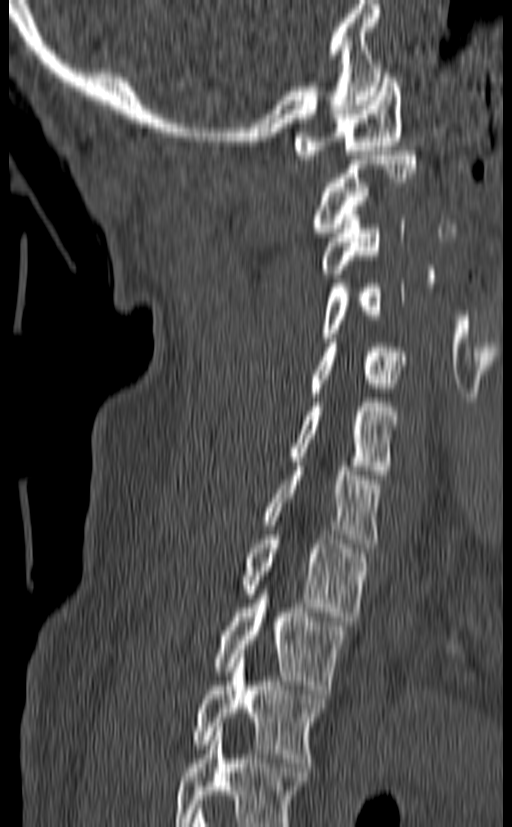

Computed tomography of the spine; sagittal view

Boxes: x1 y1 x2 y2 (pixel coords, space-separated). This scan's labels start at C1 at the top and end at T3 at the bottom. Vertebrae labeled: T3 at 192 654 326 762, T2 at 213 585 348 694, T1 at 241 530 370 621, C7 at 262 462 381 548, C6 at 288 398 399 479, C5 at 309 343 406 397, C4 at 320 279 405 342, C3 at 320 215 405 278, C2 at 312 151 417 237, C1 at 294 69 402 159.